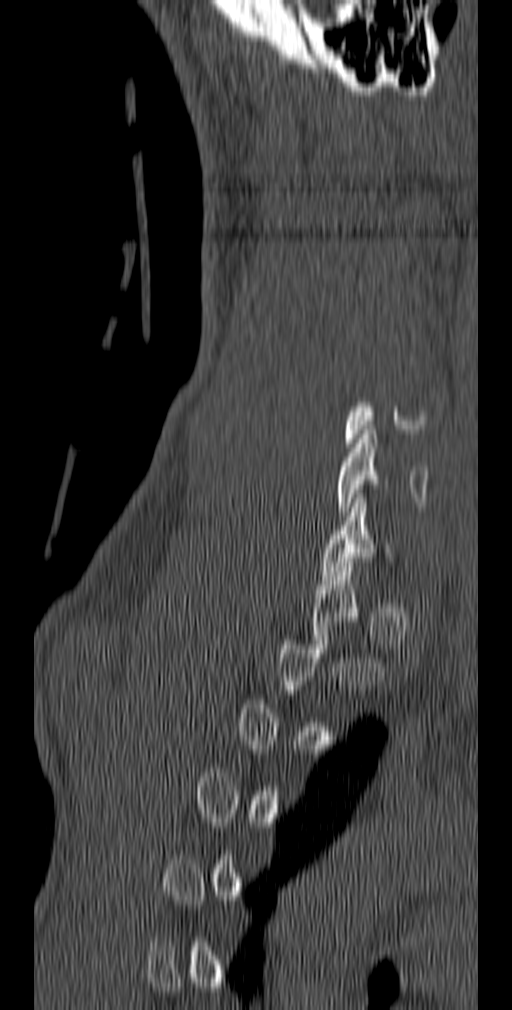
CT, spine. sagittal view. 140 mm image width
Coordinates as <box>x1,y1,x2,y2</box>. Not every vertebra on this slice has a box: a vertebra is boxed only from the first to the last slice where its cross-section is at least a third of its largest, and this slice is outside that range for at least one of them. The labeled vertebrae in this slice are: C7 at <box>321,498,395,580</box>, C6 at <box>337,430,428,516</box>.